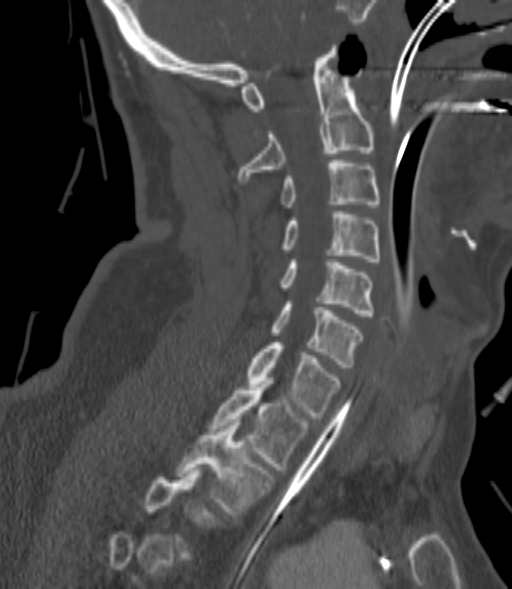 CT, spine · sagittal reformat · bone-window reconstruction

Bounding boxes as [x1, y1, x2, y2] in pixel coordinates.
A vertebra gets a box only on the slices from the first to the last where its cross-section is at least a third of its largest; on a slice outside that range it gets none.
C2: [239, 45, 374, 181]
C3: [282, 160, 379, 207]
C4: [282, 211, 379, 261]
C5: [280, 262, 374, 316]
C6: [271, 301, 361, 367]
C7: [247, 342, 340, 418]
T1: [211, 378, 307, 469]
T2: [177, 419, 271, 514]